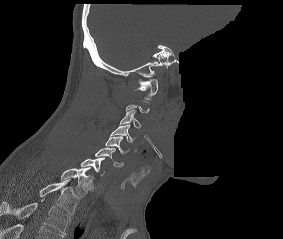

CT — sagittal view — bone-window reconstruction — 283x239 px — 283 mm across the image — a portion of the image is blanked out (constant pixel value). Each box given as x1,y1,x2,y2. Not every vertebra on this slice has a box: a vertebra is boxed only from the first to the last slice where its cross-section is at least a third of its largest, and this slice is outside that range for at least one of them. Labels in this scan begin with C1 at the top and end with T2 at the bottom. The labeled vertebrae in this slice are: C1 at x1=133, y1=79, x2=157, y2=99, C3 at x1=119, y1=109, x2=141, y2=128, C4 at x1=109, y1=124, x2=135, y2=142, C5 at x1=105, y1=136, x2=129, y2=153, C6 at x1=95, y1=148, x2=123, y2=166, C7 at x1=80, y1=157, x2=104, y2=176, T1 at x1=60, y1=167, x2=93, y2=197, T2 at x1=39, y1=179, x2=78, y2=214.